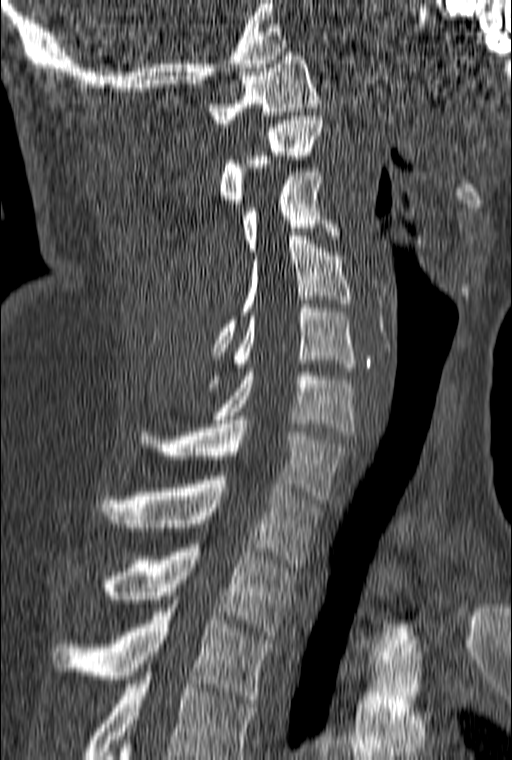 Computed tomography of the spine. sagittal reformat. bone window. 512x760 px
In this scan, the topmost labeled vertebra is C1 and the lowest is T3.
<vertebrae><v name="T3" x1="51" y1="604" x2="272" y2="703"/><v name="T2" x1="104" y1="544" x2="295" y2="635"/><v name="T1" x1="100" y1="476" x2="318" y2="567"/><v name="C7" x1="139" y1="420" x2="349" y2="503"/><v name="C6" x1="213" y1="368" x2="355" y2="435"/><v name="C5" x1="209" y1="304" x2="356" y2="387"/><v name="C4" x1="210" y1="236" x2="352" y2="355"/><v name="C3" x1="242" y1="168" x2="340" y2="251"/><v name="C2" x1="220" y1="116" x2="323" y2="207"/><v name="C1" x1="209" y1="52" x2="321" y2="127"/></vertebrae>